CT · sagittal reformat · bone-window reconstruction · 512x1305 px · 350 mm image width · scan covers 23 annotated vertebrae · a portion of the image is blanked out (constant pixel value)
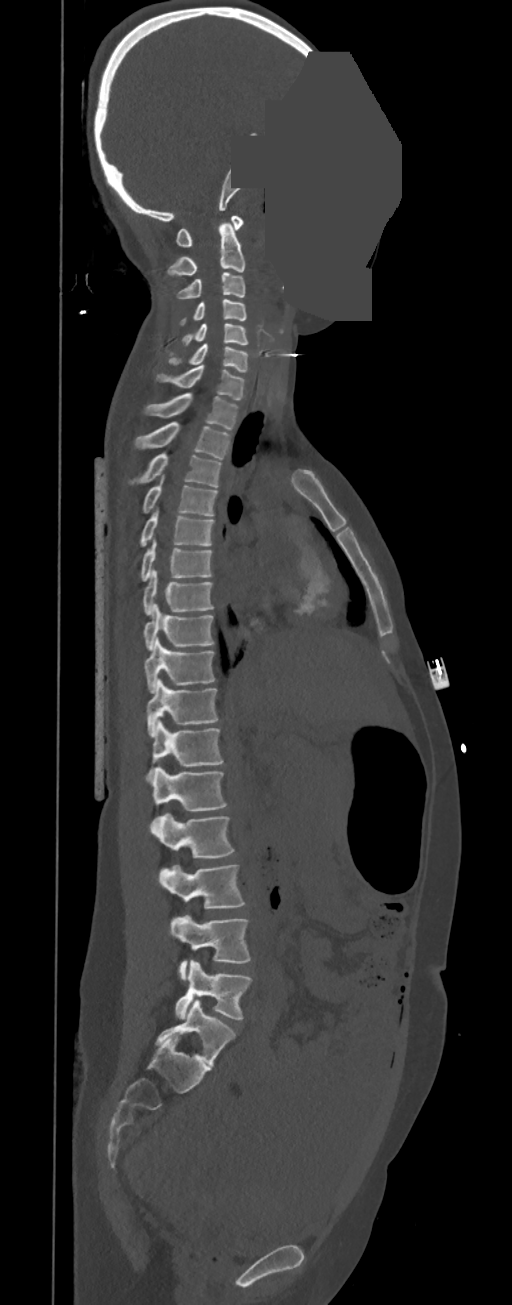 Box edges are left/top/right/bottom in pixels.
In these labels the thoracic vertebrae end at T11, so L1 follows T11.
Vertebra bounding boxes:
- L5: left=175, top=960, right=252, bottom=1019
- L4: left=169, top=915, right=250, bottom=980
- L3: left=158, top=865, right=245, bottom=909
- L2: left=150, top=812, right=234, bottom=857
- L1: left=149, top=766, right=227, bottom=811
- T11: left=148, top=720, right=223, bottom=776
- T10: left=146, top=678, right=218, bottom=736
- T9: left=145, top=637, right=215, bottom=693
- T8: left=143, top=604, right=214, bottom=651
- T7: left=143, top=570, right=214, bottom=615
- T6: left=140, top=540, right=212, bottom=581
- T5: left=139, top=511, right=214, bottom=547
- T4: left=142, top=475, right=217, bottom=516
- T3: left=128, top=453, right=221, bottom=487
- T2: left=134, top=421, right=230, bottom=460
- T1: left=145, top=392, right=237, bottom=430
- C7: left=156, top=365, right=245, bottom=399
- C6: left=168, top=344, right=248, bottom=372
- C5: left=182, top=323, right=248, bottom=345
- C4: left=180, top=299, right=246, bottom=324
- C3: left=177, top=273, right=245, bottom=299
- C2: left=167, top=223, right=245, bottom=275
- C1: left=176, top=216, right=244, bottom=247